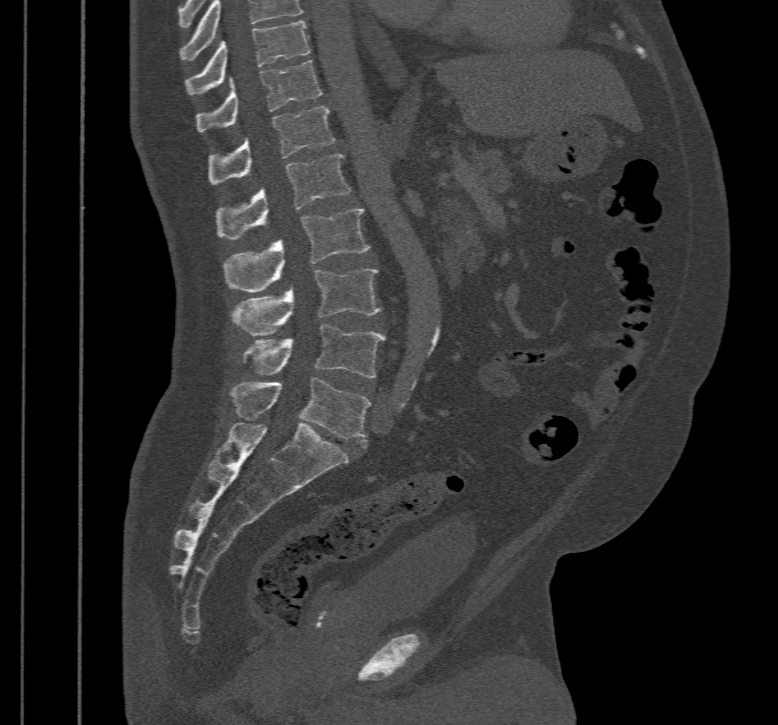

CT, spine — sagittal view — 778x725 px

Boxes: x1 y1 x2 y2 (pixel coords, space-separated).
In this scan, the topmost labeled vertebra is T10 and the lowest is L5.
Vertebra bounding boxes:
- T10: 185 20 311 94
- T11: 196 60 323 131
- T12: 208 105 333 184
- L1: 216 154 350 239
- L2: 223 209 370 291
- L3: 231 268 381 335
- L4: 243 324 385 378
- L5: 231 377 370 448